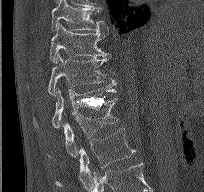
Spine computed tomography; sagittal reformat
Boxes are (x1, y1, x2, y2) in pixels. Vertebrae labeled: T9 at (51, 0, 109, 32), T10 at (49, 23, 108, 62), T11 at (47, 53, 116, 95), T12 at (33, 87, 116, 128), L1 at (49, 98, 118, 157), L2 at (55, 128, 135, 187).